CT, spine · sagittal plane, index 240 · 453x1568 px · a region is masked with a constant gray value
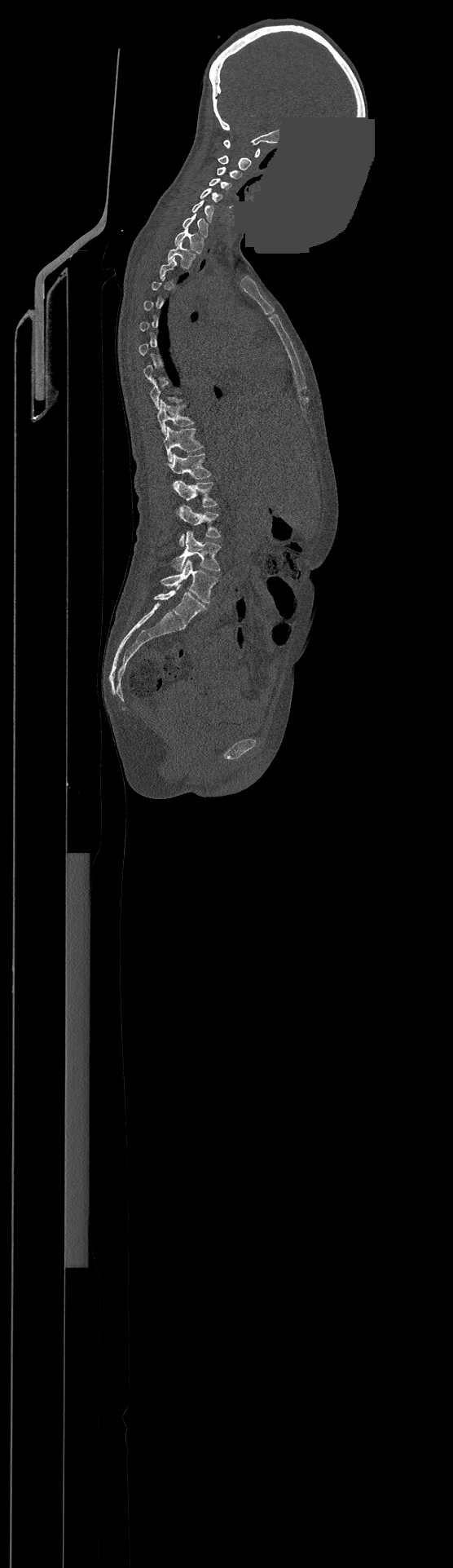
Boxes are (x1, y1, x2, y2) in pixels.
Not every vertebra on this slice has a box: a vertebra is boxed only from the first to the last slice where its cross-section is at least a third of its largest, and this slice is outside that range for at least one of them.
In this scan, the topmost labeled vertebra is C1 and the lowest is L4.
Vertebra bounding boxes:
- L4: (161, 559, 218, 603)
- L3: (172, 531, 220, 571)
- L2: (177, 506, 220, 546)
- L1: (174, 481, 217, 506)
- T12: (166, 453, 210, 479)
- T11: (163, 426, 201, 461)
- T10: (156, 400, 193, 434)
- T2: (167, 242, 195, 268)
- T1: (175, 226, 203, 254)
- C7: (183, 213, 208, 236)
- C6: (191, 200, 213, 222)
- C5: (200, 188, 222, 202)
- C4: (209, 179, 231, 189)
- C3: (218, 167, 241, 179)
- C2: (218, 156, 251, 170)
- C1: (224, 140, 260, 157)